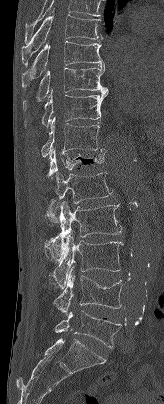 CT spine · sagittal view
Coordinates as <box>x1,y1,x2,y2</box>. Vertebrae labeled: T7 at <box>21,8,102,66</box>, T8 at <box>21,41,104,87</box>, T9 at <box>22,64,108,111</box>, T10 at <box>24,89,107,127</box>, T11 at <box>41,117,104,157</box>, T12 at <box>48,148,105,188</box>, L1 at <box>45,172,112,226</box>, L2 at <box>44,201,122,260</box>, L3 at <box>53,232,123,289</box>, L4 at <box>53,266,122,314</box>, L5 at <box>55,310,122,348</box>.